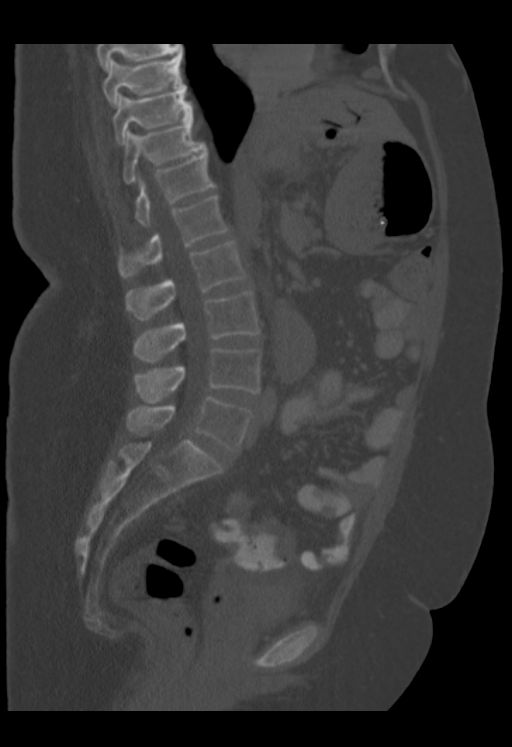
CT — sagittal view — bone-window reconstruction
Columns x1, y1, x2, y2 give each box's top-left and bottom-right pixels.
This scan's labels start at T9 at the top and end at L5 at the bottom.
| vertebra | x1 | y1 | x2 | y2 |
|---|---|---|---|---|
| T9 | 102 | 54 | 184 | 109 |
| T10 | 113 | 86 | 192 | 143 |
| T11 | 124 | 119 | 205 | 183 |
| T12 | 135 | 148 | 215 | 226 |
| L1 | 118 | 195 | 227 | 277 |
| L2 | 125 | 241 | 246 | 320 |
| L3 | 134 | 292 | 259 | 362 |
| L4 | 135 | 348 | 260 | 402 |
| L5 | 126 | 396 | 253 | 450 |